CT — sagittal view — 512x640 px — 180 mm image width
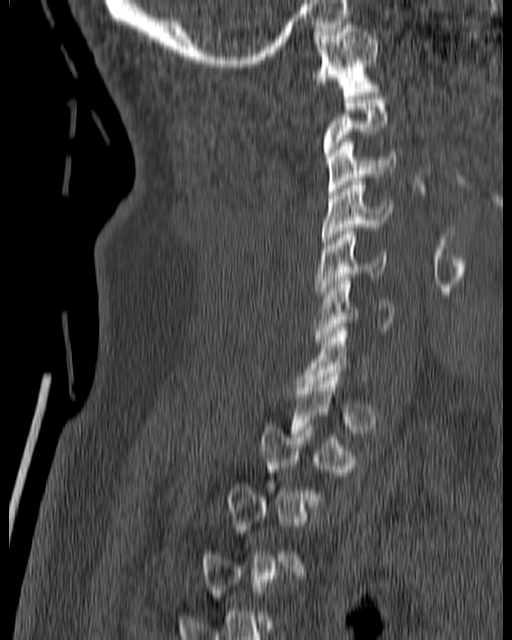
In the table, x1 and y1 are a box's top-left corner and x2 and y2 its bottom-right corner, in pixels.
A vertebra is boxed only from the first to the last slice where its cross-section is at least a third of its largest; slices outside that range leave it without a box.
| vertebra | x1 | y1 | x2 | y2 |
|---|---|---|---|---|
| C6 | 314 | 277 | 395 | 344 |
| C5 | 314 | 231 | 387 | 294 |
| C4 | 322 | 178 | 392 | 248 |
| C3 | 326 | 139 | 395 | 195 |
| C1 | 311 | 21 | 380 | 95 |